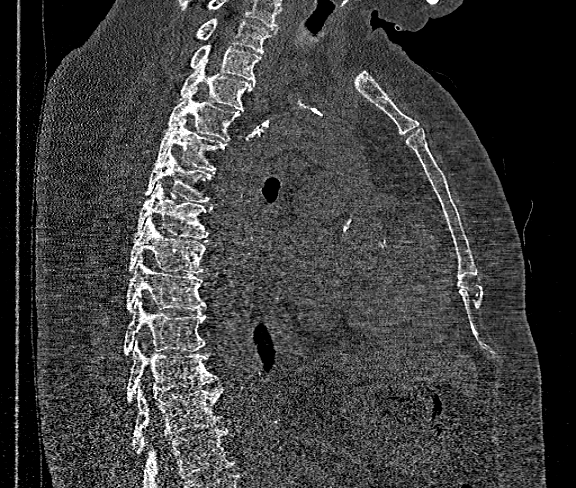

Spine CT; sagittal reformat; bone-window reconstruction. Box edges are left/top/right/bottom in pixels.
Vertebrae that run past the bottom of the scan are left unlabeled.
The highest labeled vertebra in this scan is T1; the lowest is T12.
Vertebra bounding boxes:
- T1: left=197, top=18, right=276, bottom=52
- T2: left=190, top=45, right=261, bottom=83
- T3: left=180, top=59, right=254, bottom=110
- T4: left=164, top=93, right=239, bottom=140
- T5: left=156, top=117, right=226, bottom=171
- T6: left=145, top=148, right=213, bottom=203
- T7: left=134, top=182, right=212, bottom=238
- T8: left=128, top=216, right=207, bottom=273
- T9: left=126, top=256, right=205, bottom=311
- T10: left=123, top=300, right=205, bottom=355
- T11: left=128, top=341, right=218, bottom=401
- T12: left=133, top=386, right=223, bottom=454